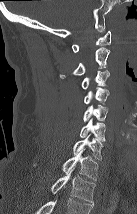

Spine CT. sagittal view. Bone window (WL 400, WW 1800)

Boxes: x1 y1 x2 y2 (pixel coords, space-separated).
This scan's labels start at C1 at the top and end at T2 at the bottom.
C1: 72 31 110 52
C2: 59 47 110 79
C3: 82 70 109 89
C4: 84 87 109 105
C5: 83 105 108 122
C6: 80 118 105 141
C7: 73 134 103 160
T1: 34 148 98 180
T2: 51 167 95 203